CT spine · sagittal reformat · bone-window reconstruction
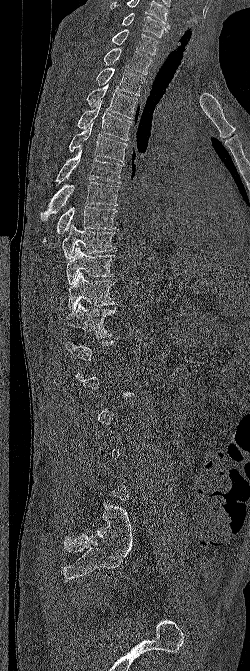

Boxes: x1 y1 x2 y2 (pixel coords, space-separated).
Not every vertebra on this slice has a box: a vertebra is boxed only from the first to the last slice where its cross-section is at least a third of its largest, and this slice is outside that range for at least one of them.
The highest labeled vertebra in this scan is C6; the lowest is L5.
Vertebra bounding boxes:
- T12: 65 302 117 338
- T11: 68 272 117 312
- T10: 66 246 115 284
- T9: 62 224 116 259
- T8: 42 206 117 244
- T7: 40 182 119 221
- T6: 54 144 122 184
- T5: 69 123 127 162
- T4: 77 101 132 140
- T3: 86 84 137 119
- T2: 96 67 144 95
- T1: 103 47 152 74
- C7: 111 29 158 55
- C6: 122 13 170 37